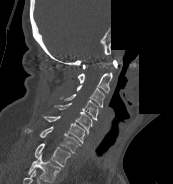
CT; image 173 mm wide; sagittal view; Bone window (WL 400, WW 1800); 173x184 px; an area of the scan was removed and filled with constant pixels
Labels in this scan begin with C1 at the top and end with T1 at the bottom.
<vertebrae><v name="C1" x1="82" y1="60" x2="117" y2="69"/><v name="C2" x1="78" y1="72" x2="112" y2="93"/><v name="C3" x1="77" y1="84" x2="104" y2="107"/><v name="C4" x1="64" y1="94" x2="98" y2="120"/><v name="C5" x1="54" y1="103" x2="92" y2="134"/><v name="C6" x1="43" y1="116" x2="84" y2="144"/><v name="C7" x1="25" y1="126" x2="80" y2="153"/><v name="T1" x1="34" y1="143" x2="70" y2="166"/></vertebrae>